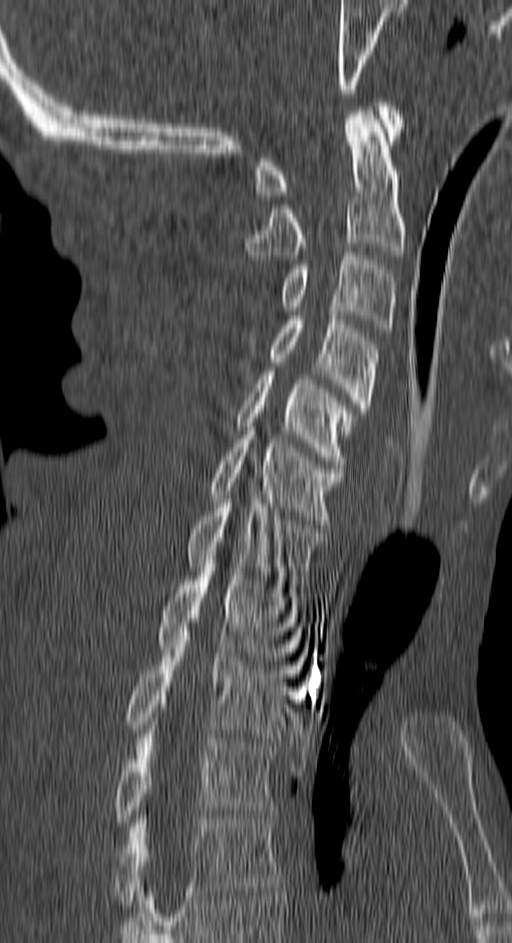

CT, spine; sagittal view
Box edges are left/top/right/bottom in pixels.
| vertebra | x1 | y1 | x2 | y2 |
|---|---|---|---|---|
| T4 | 114 | 815 | 280 | 908 |
| T3 | 114 | 730 | 273 | 827 |
| T2 | 128 | 631 | 289 | 737 |
| T1 | 158 | 559 | 303 | 669 |
| C7 | 189 | 491 | 324 | 588 |
| C6 | 209 | 427 | 342 | 524 |
| C5 | 237 | 371 | 353 | 464 |
| C4 | 271 | 316 | 379 | 438 |
| C3 | 281 | 252 | 396 | 332 |
| C2 | 246 | 107 | 403 | 259 |
| C1 | 254 | 102 | 403 | 195 |